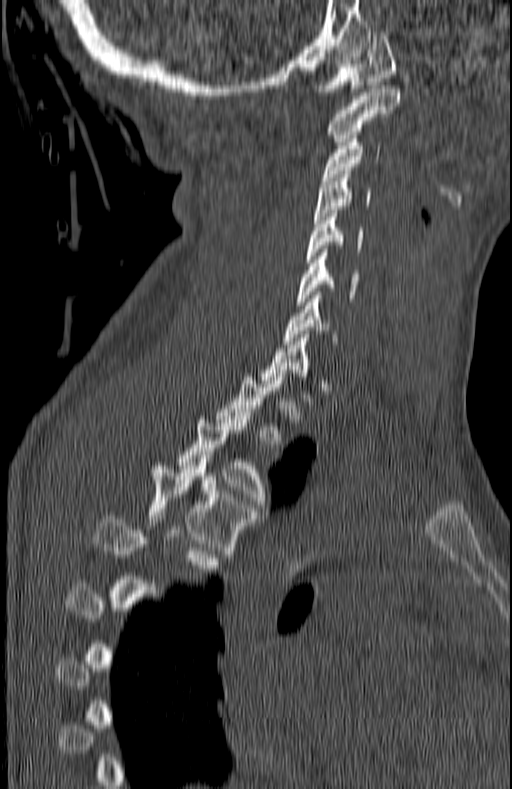

Spine CT; the image spans 180 mm across; sagittal view; 512x789 px

Boxes: x1 y1 x2 y2 (pixel coords, space-separated). A vertebra is boxed only from the first to the last slice where its cross-section is at least a third of its largest; slices outside that range leave it without a box. 11 vertebrae labeled — C1 at 312 32 395 95; C2 at 328 85 398 145; C3 at 322 139 380 184; C4 at 314 171 370 219; C5 at 306 210 364 262; C6 at 297 249 358 305; C7 at 283 295 338 344; T2 at 217 373 284 447; T3 at 177 412 273 511; T4 at 146 466 256 554; T5 at 95 516 222 575.